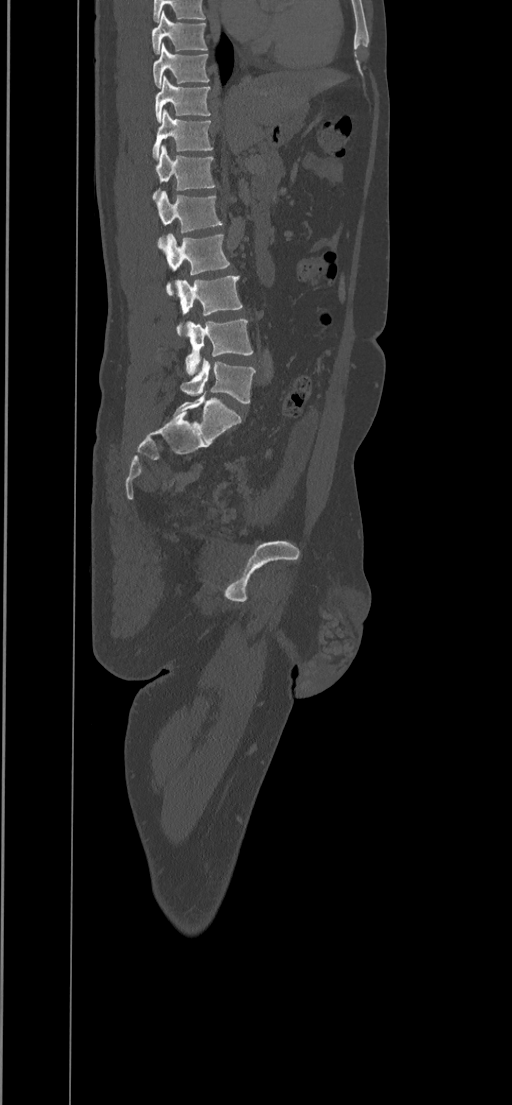 CT spine. sagittal view. bone window. 512x1105 px
Box values are [left, top, right, bottom] in pixels.
{"vertebrae":{"T8":[152,11,207,54],"T9":[153,42,209,88],"T10":[154,75,210,122],"T11":[152,109,212,161],"T12":[152,144,216,200],"L1":[157,191,222,237],"L2":[163,234,230,295],"L3":[174,276,242,336],"L4":[185,319,253,375],"L5":[180,359,255,402]}}